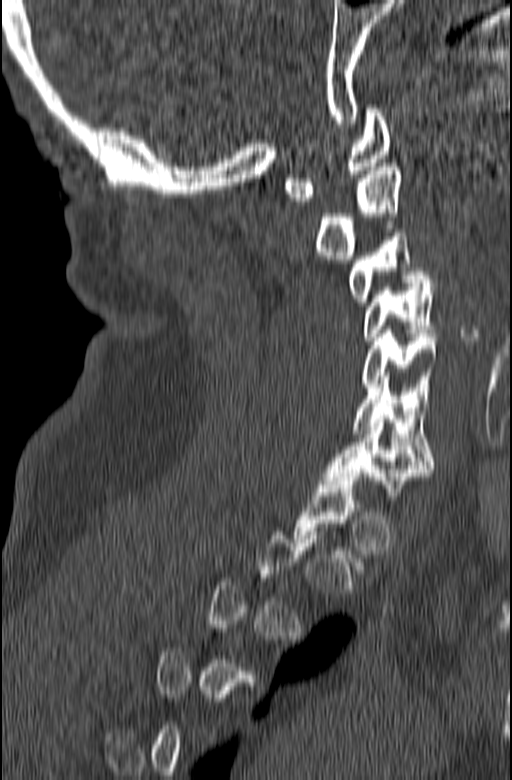

CT, spine — sagittal reformat — 512x780 px

A vertebra is boxed only from the first to the last slice where its cross-section is at least a third of its largest; slices outside that range leave it without a box.
<vertebrae><v name="C1" x1="284" y1="105" x2="391" y2="201"/><v name="C2" x1="314" y1="163" x2="403" y2="259"/><v name="C3" x1="349" y1="229" x2="425" y2="305"/><v name="C4" x1="364" y1="275" x2="436" y2="340"/><v name="C5" x1="361" y1="330" x2="438" y2="391"/><v name="C6" x1="352" y1="376" x2="434" y2="468"/><v name="C7" x1="323" y1="419" x2="433" y2="492"/></vertebrae>